CT. sagittal view. Bone window (WL 400, WW 1800). 275x605 px. scan covers 18 annotated vertebrae
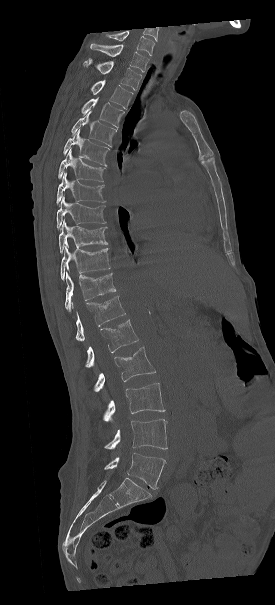
Boxes are (x1, y1, x2, y2) in pixels.
In this scan, the topmost labeled vertebra is C7 and the lowest is L5.
C7: (90, 41, 149, 72)
T1: (82, 58, 142, 90)
T2: (90, 80, 133, 108)
T3: (80, 97, 124, 128)
T4: (71, 111, 117, 146)
T5: (63, 129, 109, 166)
T6: (57, 149, 105, 182)
T7: (56, 172, 105, 204)
T8: (56, 197, 106, 229)
T9: (58, 219, 108, 252)
T10: (61, 243, 110, 280)
T11: (65, 272, 115, 311)
T12: (75, 296, 125, 341)
L1: (84, 320, 138, 367)
L2: (93, 347, 155, 391)
L3: (102, 383, 164, 420)
L4: (103, 419, 167, 449)
L5: (104, 453, 165, 489)